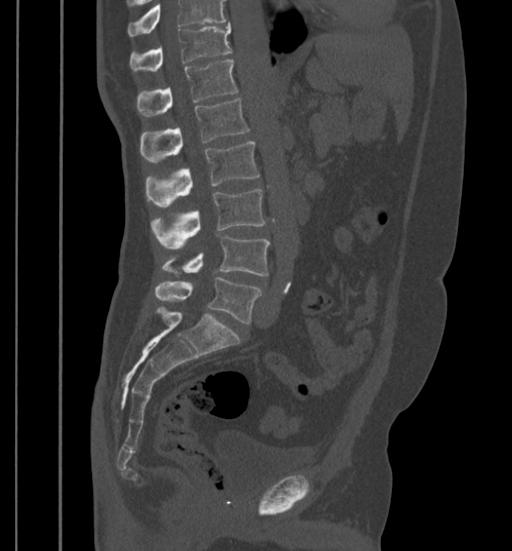
CT, spine · image width 399 mm · sagittal view · bone-window reconstruction
Coordinates as <box>x1,y1,x2,y2</box>. No box is given to a vertebra that the top edge of the scan cuts off. Vertebrae labeled: T11 at <box>129,24,232,71</box>, T12 at <box>136,60,238,115</box>, L1 at <box>140,99,249,163</box>, L2 at <box>146,141,259,206</box>, L3 at <box>151,188,264,248</box>, L4 at <box>162,236,270,276</box>, L5 at <box>155,277,261,323</box>.